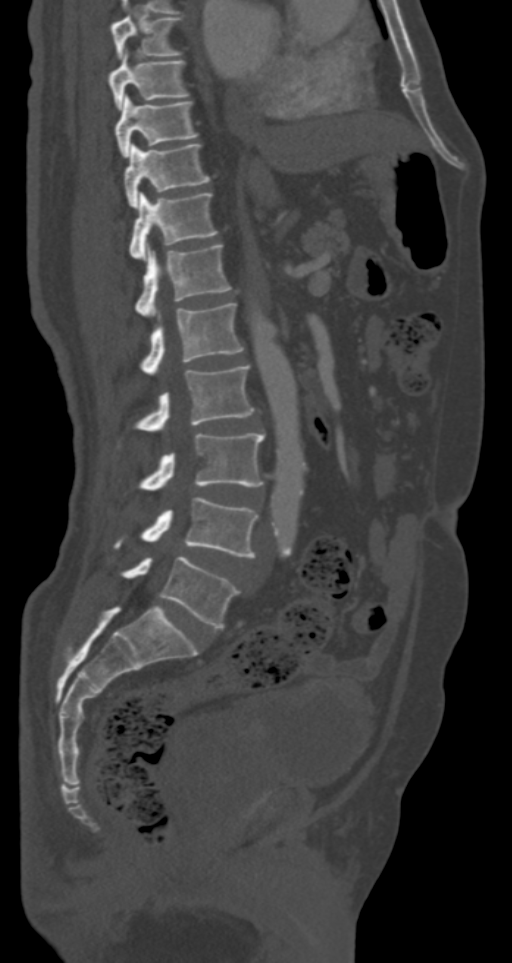

CT · sagittal view · 512x963 px
Boxes: x1:y1:x2:y2 in pixels. Vertebrae labeled: T7 at 110:16:181:58, T8 at 108:51:188:109, T9 at 116:94:197:158, T10 at 124:142:209:208, T11 at 130:192:216:259, T12 at 135:242:231:316, L1 at 141:303:243:375, L2 at 137:366:254:432, L3 at 141:433:264:491, L4 at 116:497:257:557, L5 at 123:556:239:628.